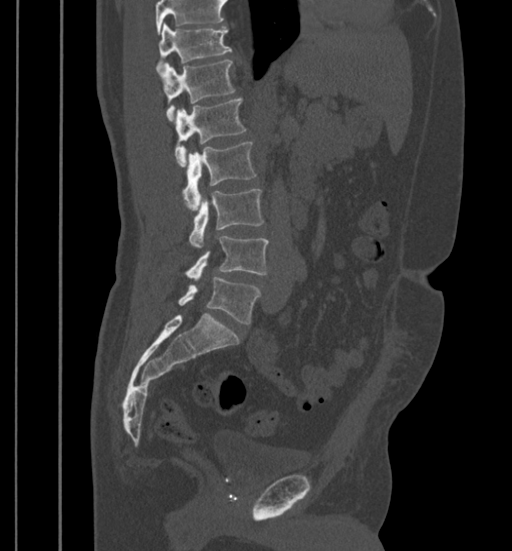 CT spine; sagittal view; 512x551 px. Each box given as x1,y1,x2,y2.
Vertebrae that run past the top of the scan are left unlabeled.
Vertebra bounding boxes:
- T11: x1=156, y1=25, x2=231, y2=73
- T12: x1=162, y1=60, x2=235, y2=120
- L1: x1=174, y1=99, x2=247, y2=166
- L2: x1=183, y1=142, x2=257, y2=210
- L3: x1=188, y1=188, x2=263, y2=247
- L4: x1=186, y1=236, x2=268, y2=279
- L5: x1=178, y1=277, x2=261, y2=324